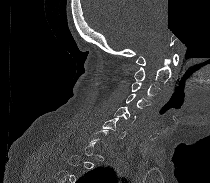

CT — sagittal view — Bone window (WL 400, WW 1800) — 210x183 px — a region is blanked to uniform black, ending in a straight edge
In the table, x1 and y1 are a box's top-left corner and x2 and y2 its bottom-right corner, in pixels.
A vertebra gets a box only on the slices from the first to the last where its cross-section is at least a third of its largest; on a slice outside that range it gets none.
| vertebra | x1 | y1 | x2 | y2 |
|---|---|---|---|---|
| C1 | 136 | 54 | 178 | 65 |
| C2 | 134 | 59 | 171 | 85 |
| C3 | 132 | 81 | 161 | 98 |
| C4 | 126 | 94 | 151 | 108 |
| C5 | 113 | 106 | 135 | 122 |
| C6 | 101 | 117 | 127 | 139 |